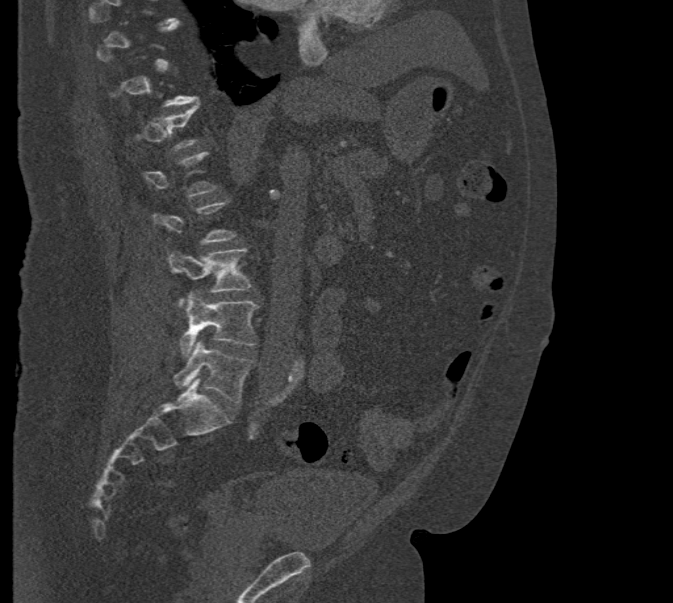

Spine computed tomography. sagittal view. bone window. 471 mm wide. 673x603 px
Boxes: x1 y1 x2 y2 (pixel coords, space-separated).
Each vertebra is boxed only on the slices from the first to the last where its cross-section reaches a third of its largest, so a slice outside that range leaves it unboxed.
L5: 172 342 253 402
L4: 180 292 259 357
L3: 167 248 250 305